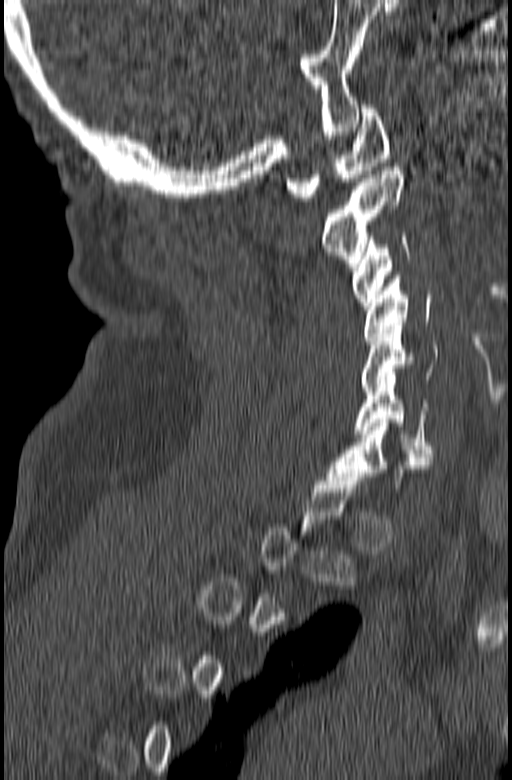

Spine CT; sagittal view

Columns x1, y1, x2, y2 give each box's top-left and bottom-right pixels.
A vertebra gets a box only on the slices from the first to the last where its cross-section is at least a third of its largest; on a slice outside that range it gets none.
| vertebra | x1 | y1 | x2 | y2 |
|---|---|---|---|---|
| C7 | 327 | 419 | 432 | 488 |
| C6 | 355 | 376 | 433 | 453 |
| C5 | 361 | 322 | 438 | 391 |
| C4 | 364 | 275 | 431 | 344 |
| C3 | 352 | 233 | 409 | 313 |
| C2 | 321 | 167 | 404 | 267 |
| C1 | 286 | 105 | 391 | 201 |